Computed tomography of the spine · sagittal view · Bone window (WL 400, WW 1800) · scan covers 10 annotated vertebrae · an area of the scan was removed and filled with constant pixels
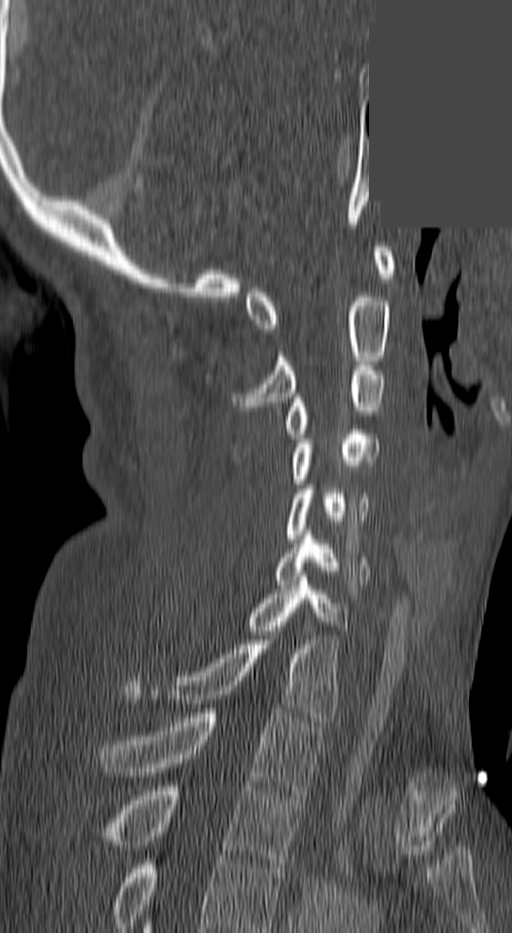

Bounding boxes as [x1, y1, x2, y2] in pixel coordinates. Labels in this scan begin with C1 at the top and end with T3 at the bottom. The labeled vertebrae in this slice are: C1 at [246, 247, 395, 333], C2 at [235, 293, 392, 406], C3 at [283, 366, 384, 438], C4 at [289, 430, 377, 484], C5 at [284, 485, 370, 538], C6 at [276, 535, 369, 584], C7 at [246, 576, 348, 630], T1 at [126, 631, 339, 721], T2 at [100, 709, 321, 794], T3 at [104, 786, 300, 868].